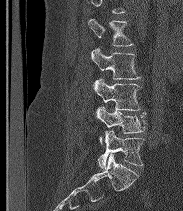
Spine computed tomography; sagittal view; the image is 183 mm wide; W/L 1800/400 HU; 183x211 px. Coordinates as <box>x1,y1,x2,y2</box>. No box is given to a vertebra that the top edge of the scan cuts off. The labels name a sixth lumbar vertebra for this spine: L6, after L5. Vertebrae labeled: L2 at <box>88,18,133,46</box>, L3 at <box>91,48,141,79</box>, L4 at <box>93,78,141,110</box>, L5 at <box>96,106,145,143</box>, L6 at <box>98,130,144,168</box>.